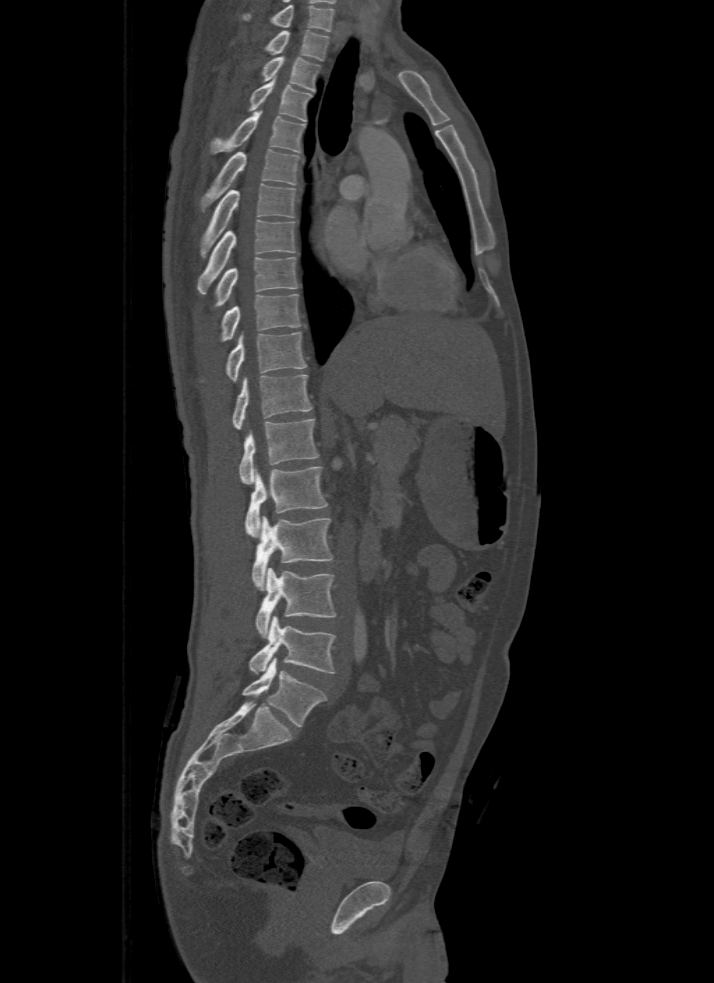 CT, spine. sagittal view. Bone window (WL 400, WW 1800). 714x983 px

In this scan, the topmost labeled vertebra is T1 and the lowest is L5.
<vertebrae><v name="T1" x1="264" y1="30" x2="330" y2="61"/><v name="T2" x1="261" y1="56" x2="320" y2="91"/><v name="T3" x1="248" y1="76" x2="311" y2="121"/><v name="T4" x1="211" y1="110" x2="305" y2="154"/><v name="T5" x1="201" y1="149" x2="300" y2="211"/><v name="T6" x1="199" y1="183" x2="296" y2="258"/><v name="T7" x1="197" y1="220" x2="295" y2="292"/><v name="T8" x1="213" y1="257" x2="298" y2="308"/><v name="T9" x1="220" y1="293" x2="300" y2="341"/><v name="T10" x1="226" y1="332" x2="306" y2="381"/><v name="T11" x1="232" y1="375" x2="311" y2="429"/><v name="T12" x1="239" y1="419" x2="318" y2="484"/><v name="L1" x1="246" y1="466" x2="328" y2="538"/><v name="L2" x1="251" y1="516" x2="334" y2="590"/><v name="L3" x1="255" y1="568" x2="337" y2="638"/><v name="L4" x1="248" y1="616" x2="335" y2="674"/><v name="L5" x1="243" y1="658" x2="325" y2="727"/></vertebrae>